Spine computed tomography; sagittal reformat
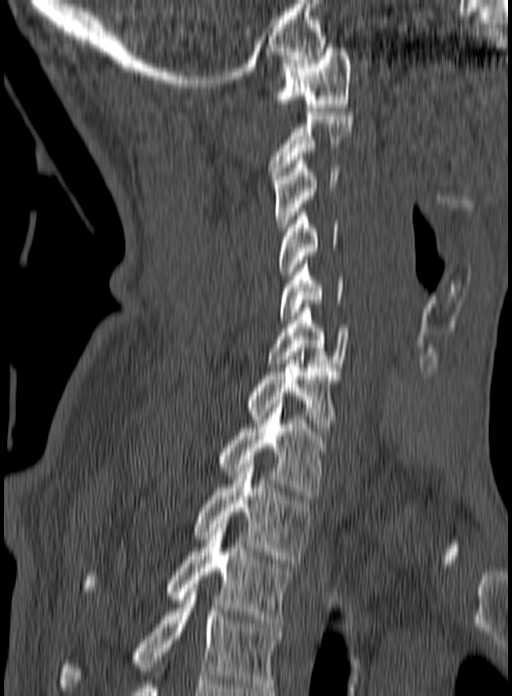
Boxes are given in columns x1, y1, x2, y2, the pixel coordinates of their top-left and bottom-right corners.
Labels in this scan begin with C1 at the top and end with T3 at the bottom.
| vertebra | x1 | y1 | x2 | y2 |
|---|---|---|---|---|
| C1 | 274 | 48 | 351 | 111 |
| C2 | 268 | 112 | 354 | 179 |
| C3 | 273 | 156 | 340 | 231 |
| C4 | 278 | 212 | 339 | 279 |
| C5 | 280 | 260 | 343 | 319 |
| C6 | 265 | 304 | 349 | 367 |
| C7 | 244 | 356 | 339 | 431 |
| T1 | 216 | 400 | 334 | 499 |
| T2 | 193 | 464 | 314 | 563 |
| T3 | 81 | 516 | 291 | 623 |